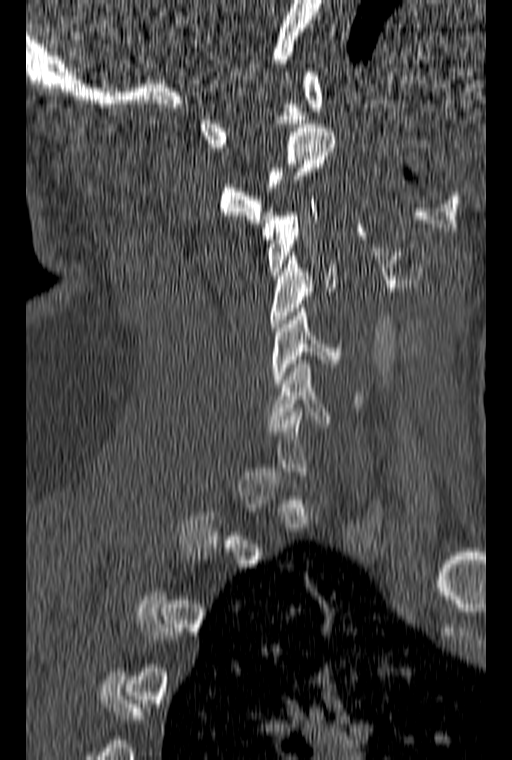

CT; sagittal reformat; bone-window reconstruction; 512x760 px. Each box given as x1,y1,x2,y2. Not every vertebra on this slice has a box: a vertebra is boxed only from the first to the last slice where its cross-section is at least a third of its largest, and this slice is outside that range for at least one of them. 6 vertebrae labeled — C1 at x1=199, y1=72, x2=323, y2=147; C2 at x1=219, y1=124, x2=336, y2=223; C3 at x1=263, y1=196, x2=318, y2=275; C4 at x1=270, y1=252, x2=337, y2=331; C5 at x1=271, y1=308, x2=342, y2=387; C6 at x1=269, y1=360, x2=362, y2=427.